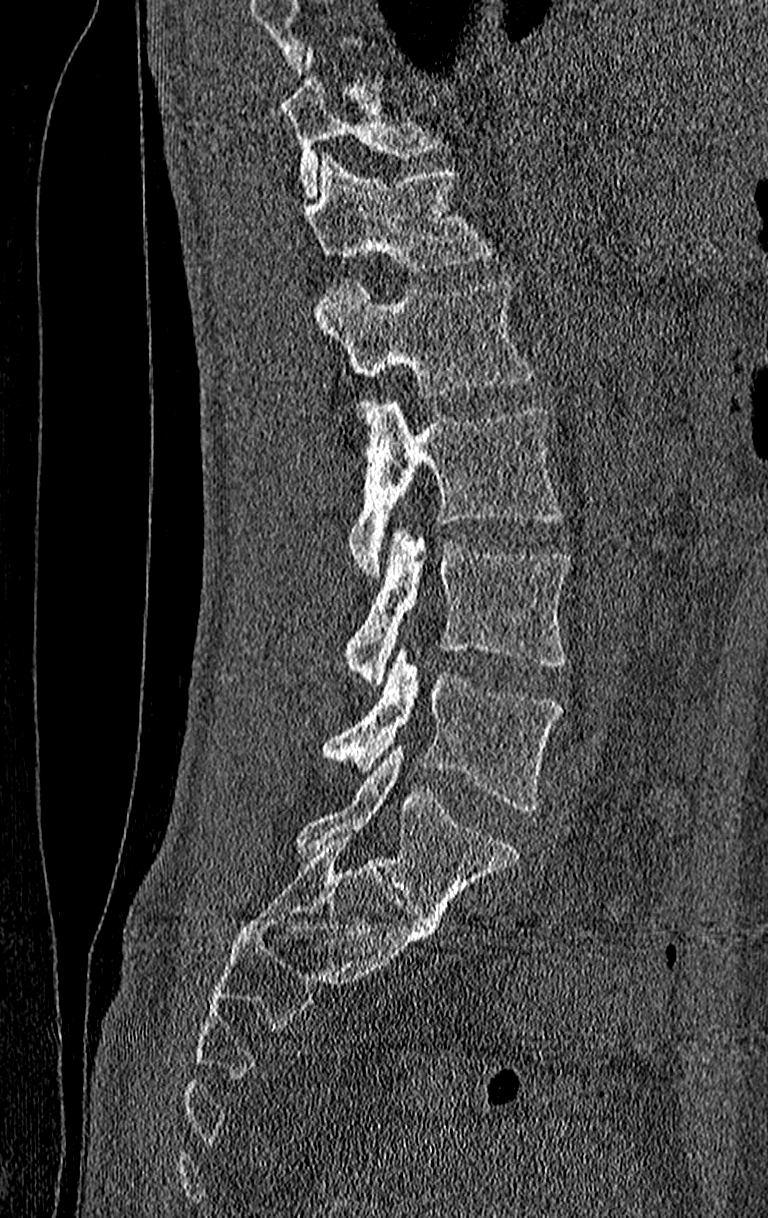
CT spine. sagittal reformat. bone window. 768x1218 px
Coordinates as <box>x1,y1,x2,y2</box>.
No box is given to a vertebra that the top edge of the scan cuts off.
The highest labeled vertebra in this scan is T11; the lowest is L4.
Vertebra bounding boxes:
- L4: <box>320,648,565,812</box>
- L3: <box>346,528,572,684</box>
- L2: <box>346,403,565,573</box>
- L1: <box>313,278,532,399</box>
- T12: <box>302,156,495,274</box>
- T11: <box>280,53,444,193</box>